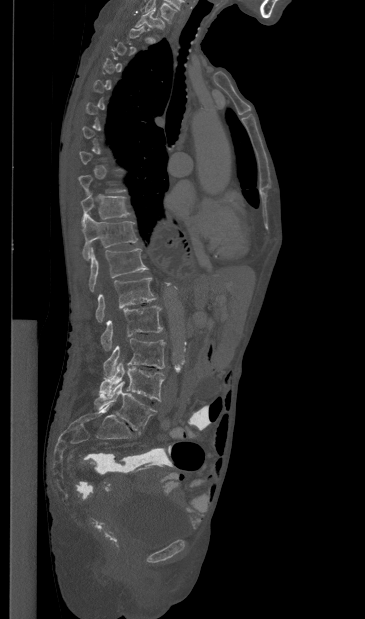
Computed tomography of the spine · sagittal view · bone-window reconstruction · 365x619 px · the image spans 365 mm across. Each box given as x1,y1,x2,y2.
A vertebra is boxed only from the first to the last slice where its cross-section is at least a third of its largest; slices outside that range leave it without a box.
This scan's labels start at T1 at the top and end at L5 at the bottom.
Vertebra bounding boxes:
- T1: x1=135, y1=10, x2=164, y2=29
- T10: x1=81, y1=193, x2=129, y2=224
- T11: x1=82, y1=214, x2=137, y2=260
- T12: x1=89, y1=248, x2=148, y2=291
- L1: x1=96, y1=278, x2=156, y2=322
- L2: x1=101, y1=305, x2=162, y2=350
- L3: x1=103, y1=338, x2=165, y2=377
- L4: x1=99, y1=362, x2=164, y2=401
- L5: x1=94, y1=382, x2=156, y2=434